CT, spine — sagittal reformat — Bone window (WL 400, WW 1800) — 162x216 px
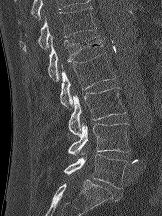
In the table, x1 and y1 are a box's top-left corner and x2 and y2 its bottom-right corner, in pixels.
| vertebra | x1 | y1 | x2 | y2 |
|---|---|---|---|---|
| T12 | 18 | 6 | 96 | 53 |
| L1 | 48 | 35 | 104 | 81 |
| L2 | 60 | 53 | 115 | 107 |
| L3 | 68 | 87 | 126 | 135 |
| L4 | 67 | 122 | 130 | 154 |
| L5 | 64 | 154 | 128 | 188 |